Spine computed tomography. Sagittal slice 209/512
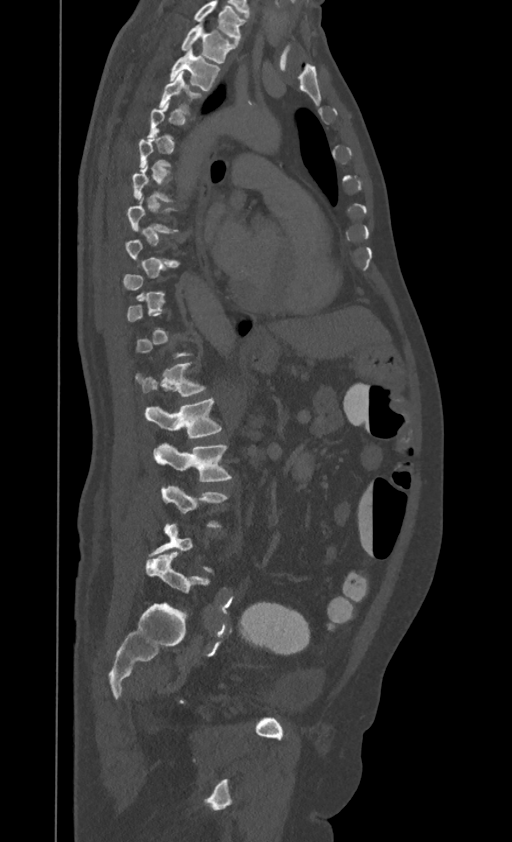
Each box is [x1, y1, x2, y2] in pixels: top-left corner, then bottom-right corner.
Not every vertebra on this slice has a box: a vertebra is boxed only from the first to the last slice where its cross-section is at least a third of its largest, and this slice is outside that range for at least one of them.
Labels in this scan begin with T1 at the top and end with L4 at the bottom.
{"vertebrae":{"T1":[181,23,233,62],"T2":[170,48,219,91],"T12":[136,363,205,396],"L1":[145,398,221,439],"L2":[153,443,231,481]}}